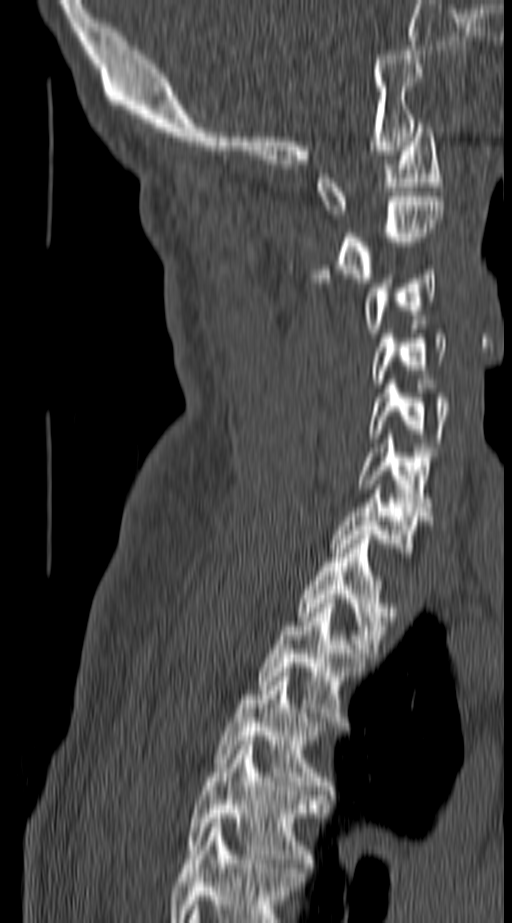
CT spine. sagittal view
Each box given as x1,y1,x2,y2.
Labels in this scan begin with C1 at the top and end with T4 at the bottom.
Vertebra bounding boxes:
- T4: x1=188, y1=741, x2=319, y2=872
- T3: x1=217, y1=672, x2=329, y2=790
- T2: x1=257, y1=599, x2=364, y2=717
- T1: x1=298, y1=535, x2=393, y2=657
- C7: x1=334, y1=485, x2=426, y2=552
- C6: x1=358, y1=434, x2=434, y2=511
- C5: x1=367, y1=384, x2=450, y2=442
- C4: x1=371, y1=334, x2=447, y2=383
- C3: x1=363, y1=270, x2=436, y2=333
- C2: x1=302, y1=197, x2=443, y2=282
- C1: x1=316, y1=123, x2=441, y2=214